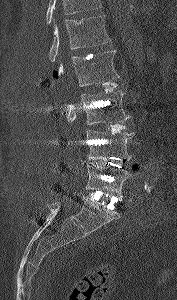

CT spine. sagittal view. bone-window reconstruction. 177x300 px

Box edges are left/top/right/bottom in pixels.
A vertebra cut off by the top edge of the scan is not labeled and has no box.
Vertebra bounding boxes:
- L5: left=85, top=164, right=133, bottom=199
- L4: left=86, top=130, right=134, bottom=160
- L3: left=67, top=91, right=131, bottom=124
- L2: left=52, top=50, right=119, bottom=86
- L1: left=48, top=15, right=111, bottom=61